Spine CT. the image is 140 mm wide. sagittal view. 512x933 px. part of the image is a flat gray fill, not anatomy
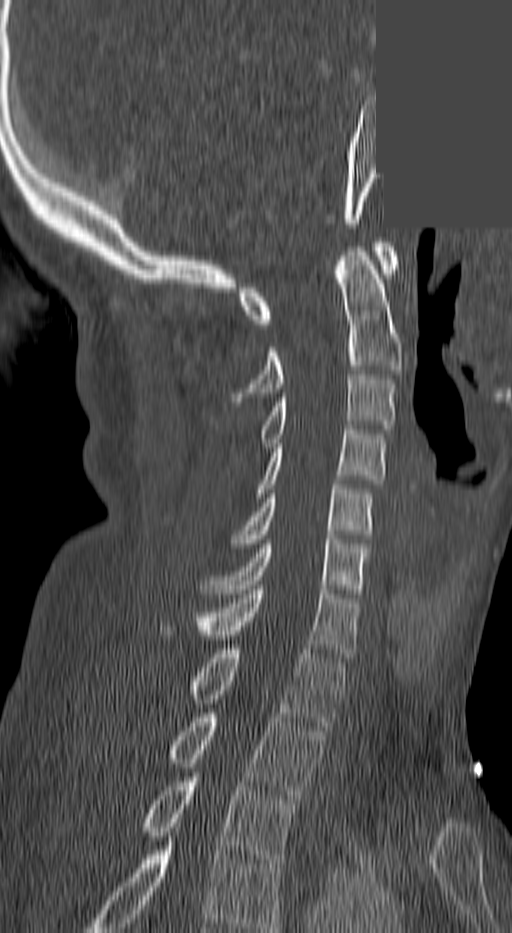

Labels in this scan begin with C1 at the top and end with T3 at the bottom.
<vertebrae><v name="C1" x1="239" y1="242" x2="399" y2="324"/><v name="C2" x1="234" y1="247" x2="403" y2="406"/><v name="C3" x1="261" y1="375" x2="395" y2="447"/><v name="C4" x1="257" y1="430" x2="384" y2="497"/><v name="C5" x1="232" y1="485" x2="373" y2="548"/><v name="C6" x1="202" y1="539" x2="366" y2="593"/><v name="C7" x1="192" y1="590" x2="359" y2="657"/><v name="T1" x1="188" y1="649" x2="344" y2="730"/><v name="T2" x1="170" y1="713" x2="323" y2="799"/><v name="T3" x1="144" y1="777" x2="293" y2="863"/></vertebrae>